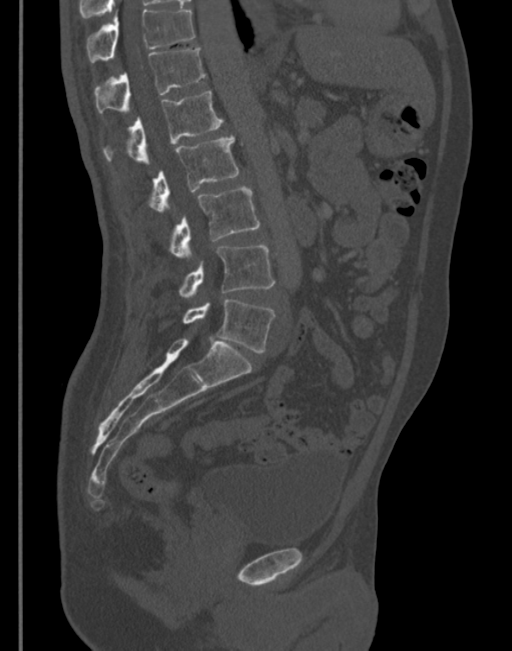
Computed tomography of the spine — sagittal view — bone-window reconstruction. Box edges are left/top/right/bottom in pixels. Vertebrae labeled: T11 at left=86, top=8, right=195, bottom=62, T12 at left=93, top=46, right=205, bottom=113, L1 at left=102, top=91, right=223, bottom=163, L2 at left=147, top=135, right=239, bottom=212, L3 at left=167, top=186, right=260, bottom=257, L4 at left=178, top=245, right=275, bottom=297, L5 at left=182, top=299, right=275, bottom=353.